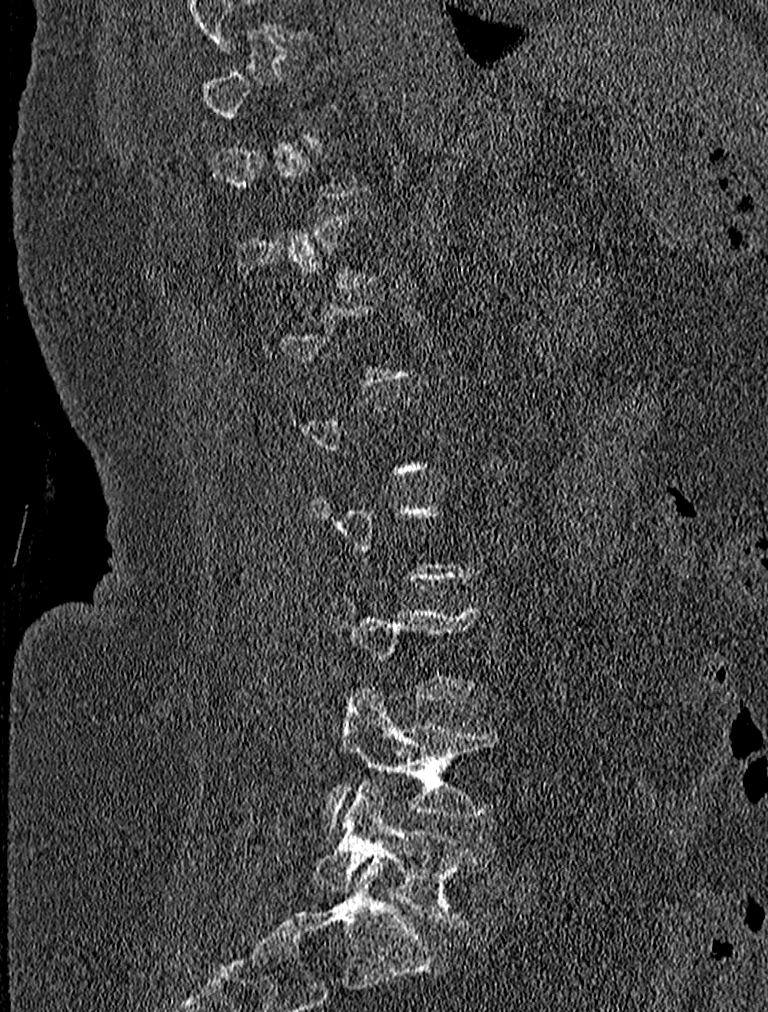
CT spine · sagittal view · bone window · 768x1012 px
Each vertebra is boxed only on the slices from the first to the last where its cross-section reaches a third of its largest, so a slice outside that range leaves it unboxed.
<vertebrae><v name="L4" x1="324" y1="688" x2="506" y2="830"/><v name="L5" x1="313" y1="779" x2="488" y2="928"/></vertebrae>